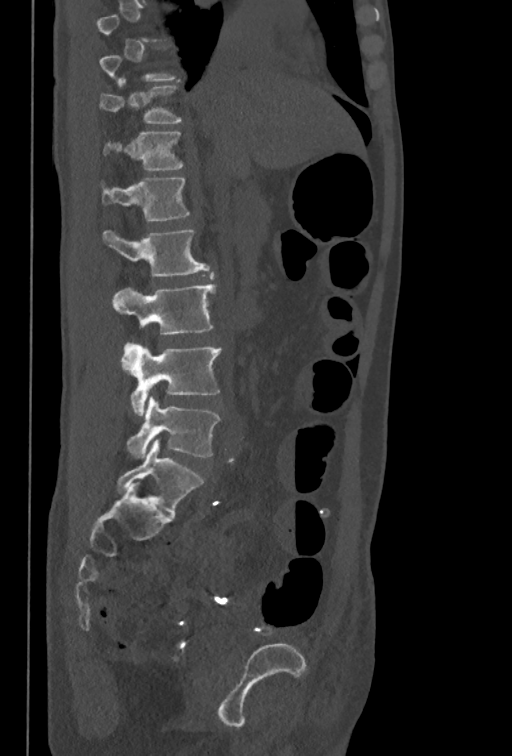 CT, spine — sagittal reformat — 350 mm wide — bone-window reconstruction — 512x756 px. Columns x1, y1, x2, y2 give each box's top-left and bottom-right pixels.
A vertebra gets a box only on the slices from the first to the last where its cross-section is at least a third of its largest; on a slice outside that range it gets none.
| vertebra | x1 | y1 | x2 | y2 |
|---|---|---|---|---|
| L5 | 126 | 396 | 220 | 458 |
| L4 | 121 | 342 | 221 | 415 |
| L3 | 112 | 284 | 215 | 335 |
| L2 | 102 | 229 | 208 | 277 |
| L1 | 102 | 178 | 189 | 222 |
| T12 | 103 | 132 | 182 | 170 |
| T11 | 99 | 79 | 180 | 123 |